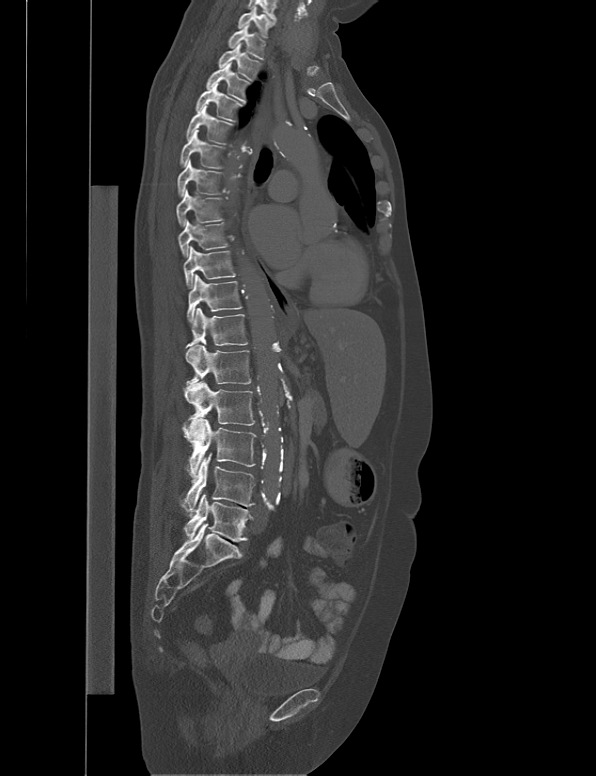

CT; sagittal view; Bone window (WL 400, WW 1800). Bounding boxes as [x1, y1, x2, y2] in pixel coordinates.
Vertebra bounding boxes:
- C7: [238, 6, 274, 38]
- T1: [227, 22, 265, 60]
- T2: [218, 43, 260, 81]
- T3: [206, 61, 249, 103]
- T4: [195, 82, 242, 121]
- T5: [186, 105, 234, 144]
- T6: [179, 130, 225, 168]
- T7: [177, 159, 225, 196]
- T8: [176, 189, 224, 225]
- T9: [178, 219, 230, 257]
- T10: [184, 246, 235, 288]
- T11: [187, 274, 242, 322]
- T12: [185, 308, 248, 348]
- L1: [183, 345, 250, 400]
- L2: [182, 381, 254, 440]
- L3: [184, 419, 256, 484]
- L4: [179, 452, 256, 512]
- L5: [184, 493, 253, 541]